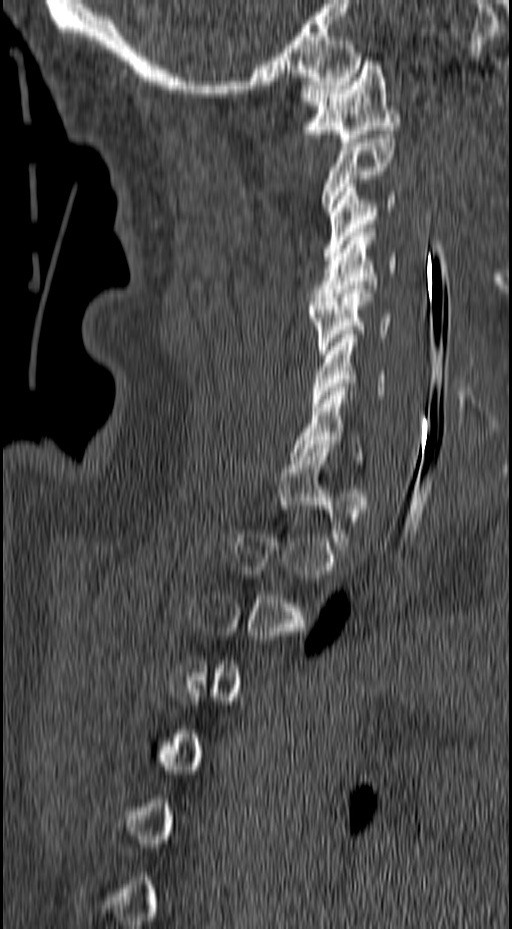
CT spine · sagittal view · bone window · 512x929 px
A vertebra is boxed only from the first to the last slice where its cross-section is at least a third of its largest; slices outside that range leave it without a box.
<vertebrae><v name="C1" x1="298" y1="57" x2="399" y2="142"/><v name="C2" x1="321" y1="135" x2="395" y2="215"/><v name="C3" x1="322" y1="183" x2="395" y2="260"/><v name="C4" x1="309" y1="228" x2="397" y2="305"/><v name="C5" x1="309" y1="285" x2="393" y2="354"/><v name="C6" x1="311" y1="334" x2="385" y2="407"/><v name="C7" x1="291" y1="387" x2="361" y2="460"/></vertebrae>